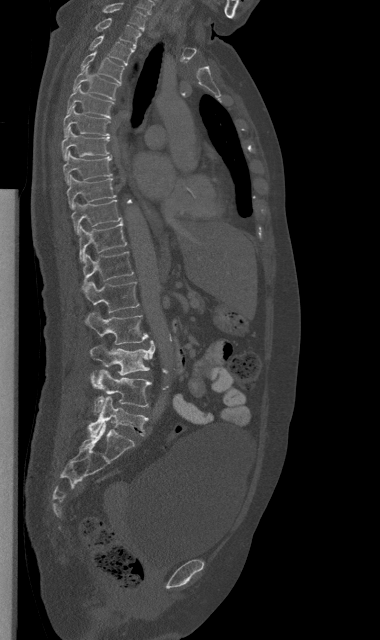 CT spine; image width 380 mm; sagittal view
Boxes are (x1, y1, x2, y2) in pixels.
C7: (103, 2, 146, 29)
T1: (95, 18, 140, 47)
T2: (89, 35, 134, 65)
T3: (81, 52, 124, 84)
T4: (73, 66, 120, 99)
T5: (67, 85, 114, 118)
T6: (63, 106, 110, 137)
T7: (61, 127, 109, 160)
T8: (63, 151, 112, 184)
T9: (67, 175, 115, 209)
T10: (71, 200, 123, 234)
T11: (79, 222, 126, 261)
T12: (82, 251, 133, 289)
L1: (84, 281, 139, 312)
L2: (85, 312, 148, 344)
L3: (90, 341, 154, 375)
L4: (90, 369, 151, 413)
L5: (87, 396, 148, 437)